Computed tomography of the spine; sagittal reformat
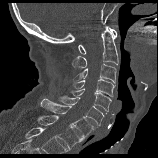 In the table, x1 and y1 are a box's top-left corner and x2 and y2 its bottom-right corner, in pixels.
| vertebra | x1 | y1 | x2 | y2 |
|---|---|---|---|---|
| C1 | 78 | 26 | 116 | 54 |
| C2 | 71 | 26 | 119 | 69 |
| C3 | 73 | 63 | 116 | 85 |
| C4 | 73 | 79 | 115 | 97 |
| C5 | 71 | 89 | 111 | 111 |
| C6 | 58 | 95 | 103 | 126 |
| C7 | 40 | 99 | 94 | 138 |
| T1 | 37 | 115 | 83 | 149 |